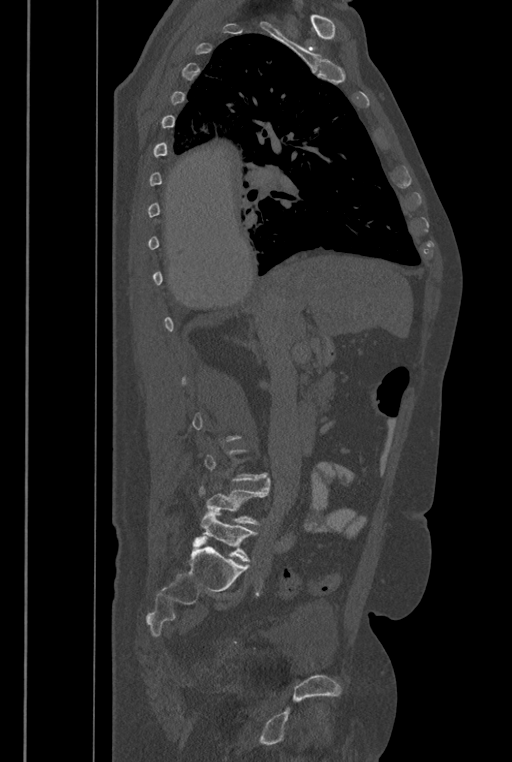 CT; sagittal view

Boxes: x1 y1 x2 y2 (pixel coords, space-separated).
Each vertebra is boxed only on the slices from the first to the last where its cross-section reaches a third of its largest, so a slice outside that range leaves it unboxed.
These labels give the spine a sixth lumbar vertebra, L6, below L5.
L5: 199 477 269 524
L6: 201 508 257 561